CT, spine — sagittal reformat — 232x233 px
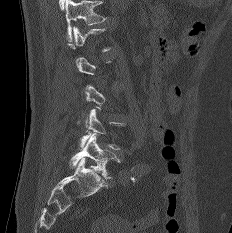
Box edges are left/top/right/bottom in pixels.
A vertebra is boxed only from the first to the last slice where its cross-section is at least a third of its largest; slices outside that range leave it without a box.
Vertebra bounding boxes:
- L5: left=68, top=132, right=120, bottom=178
- L4: left=77, top=109, right=125, bottom=149